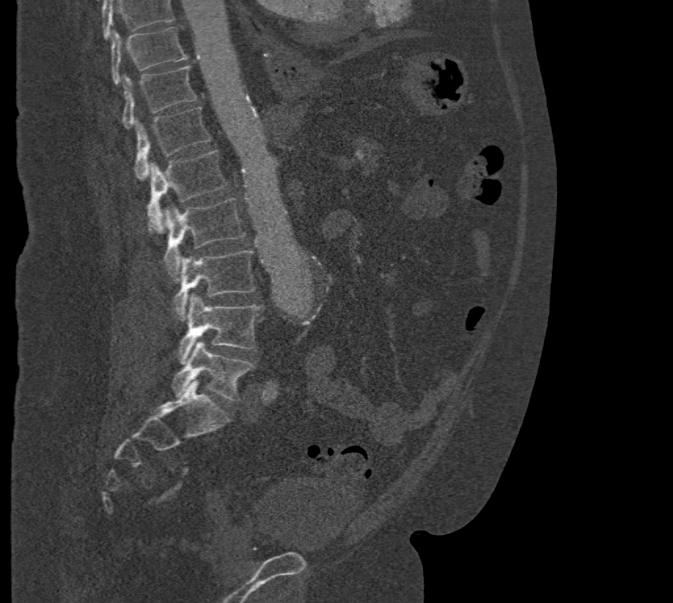

CT, spine; sagittal view; W/L 1800/400 HU
Boxes below are [x1, y1, x2, y2] in pixels.
Vertebrae that run past the top of the scan are left unlabeled.
{"vertebrae":{"T10":[112,28,187,84],"T11":[121,66,196,128],"T12":[134,106,211,179],"L1":[147,150,228,231],"L2":[163,198,245,277],"L3":[172,250,257,319],"L4":[177,295,263,362],"L5":[171,340,253,401]}}